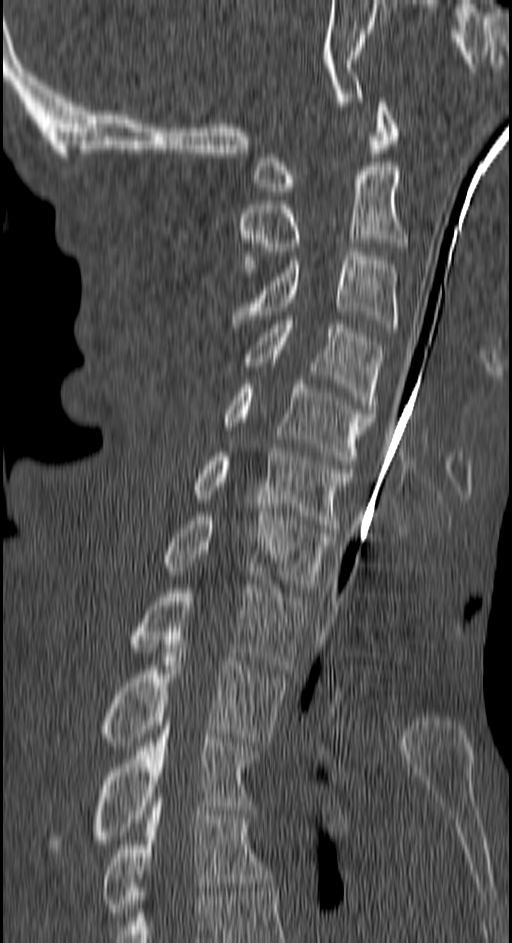
CT spine; sagittal reformat; W/L 1800/400 HU; 512x943 px; 150 mm across the image

Boxes: x1:y1:x2:y2 in pixels.
T4: 104:802:273:916
T3: 97:721:256:844
T2: 104:644:286:746
T1: 131:585:305:669
C7: 165:508:335:592
C6: 196:448:352:532
C5: 223:380:376:468
C4: 244:316:383:413
C3: 232:252:397:328
C2: 240:166:406:272
C1: 253:98:396:195